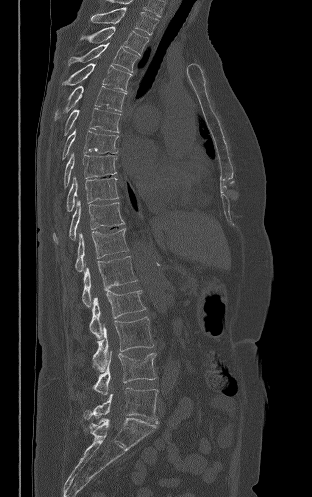

CT · sagittal view · Bone window (WL 400, WW 1800). In the table, x1 and y1 are a box's top-left corner and x2 and y2 its bottom-right corner, in pixels.
| vertebra | x1 | y1 | x2 | y2 |
|---|---|---|---|---|
| T2 | 91 | 7 | 158 | 34 |
| T3 | 80 | 26 | 148 | 55 |
| T4 | 68 | 42 | 138 | 72 |
| T5 | 62 | 63 | 132 | 92 |
| T6 | 54 | 85 | 126 | 119 |
| T7 | 64 | 108 | 121 | 135 |
| T8 | 62 | 129 | 118 | 159 |
| T9 | 64 | 152 | 116 | 187 |
| T10 | 66 | 176 | 118 | 212 |
| T11 | 53 | 199 | 124 | 243 |
| T12 | 75 | 228 | 128 | 272 |
| L1 | 82 | 256 | 137 | 307 |
| L2 | 89 | 290 | 145 | 338 |
| L3 | 93 | 317 | 153 | 371 |
| L4 | 94 | 352 | 156 | 394 |
| L5 | 84 | 388 | 158 | 423 |